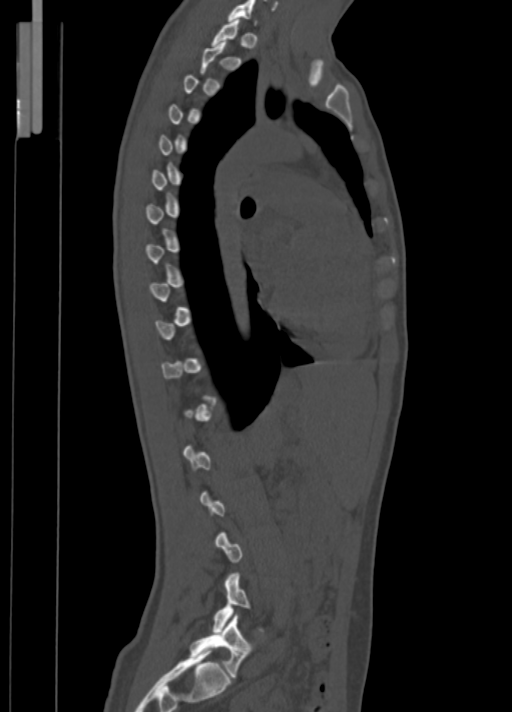
CT · sagittal view · W/L 1800/400 HU

Boxes below are [x1, y1, x2, y2] in pixels.
A vertebra is boxed only from the first to the last slice where its cross-section is at least a third of its largest; slices outside that range leave it without a box.
{"vertebrae":{"L5":[190,614,252,678],"C7":[228,0,256,24]}}